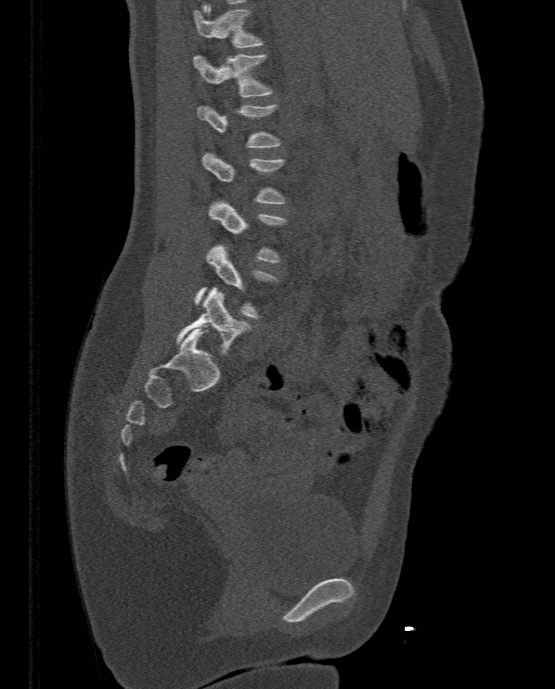 Spine CT; sagittal view
Each vertebra maps to its box as [x1, y1, x2, y2], the pixel coordinates of its top-left and bottom-right corners.
{"vertebrae":{"L5":[177,286,250,355],"L4":[194,244,279,318],"L3":[208,202,287,262],"L2":[202,151,285,203],"L1":[198,104,281,147],"T12":[193,53,273,96],"T11":[193,7,263,47]}}